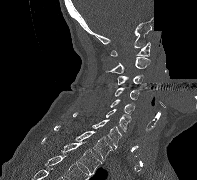
Computed tomography of the spine — sagittal view — 197 mm across the image — W/L 1800/400 HU — part of the image has been replaced by a constant value
Boxes below are [x1, y1, x2, y2] in pixels.
{"vertebrae":{"C1":[110,42,150,56],"C2":[104,57,150,73],"C3":[100,75,146,89],"C4":[115,87,139,100],"C5":[110,99,134,119],"C6":[105,109,130,132],"C7":[73,112,121,149],"T1":[53,125,112,160],"T2":[41,137,101,175]}}